Computed tomography of the spine. sagittal reformat. Bone window (WL 400, WW 1800)
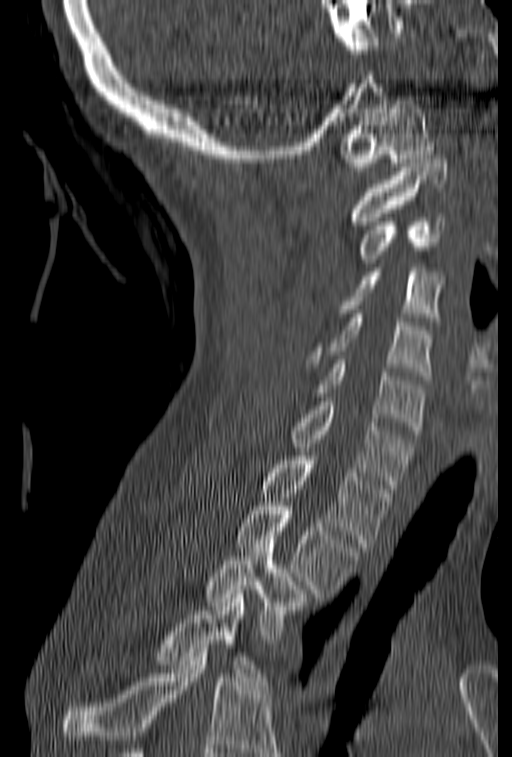
A vertebra cut off by the bottom edge of the scan is not labeled and has no box.
<vertebrae><v name="C1" x1="340" y1="100" x2="434" y2="171"/><v name="C2" x1="349" y1="155" x2="449" y2="225"/><v name="C3" x1="359" y1="213" x2="445" y2="263"/><v name="C4" x1="337" y1="268" x2="442" y2="321"/><v name="C5" x1="307" y1="314" x2="432" y2="380"/><v name="C6" x1="315" y1="360" x2="425" y2="434"/><v name="C7" x1="289" y1="397" x2="412" y2="488"/><v name="T1" x1="263" y1="452" x2="392" y2="547"/><v name="T2" x1="236" y1="502" x2="358" y2="593"/><v name="T3" x1="205" y1="535" x2="308" y2="643"/><v name="T4" x1="155" y1="590" x2="273" y2="693"/></vertebrae>